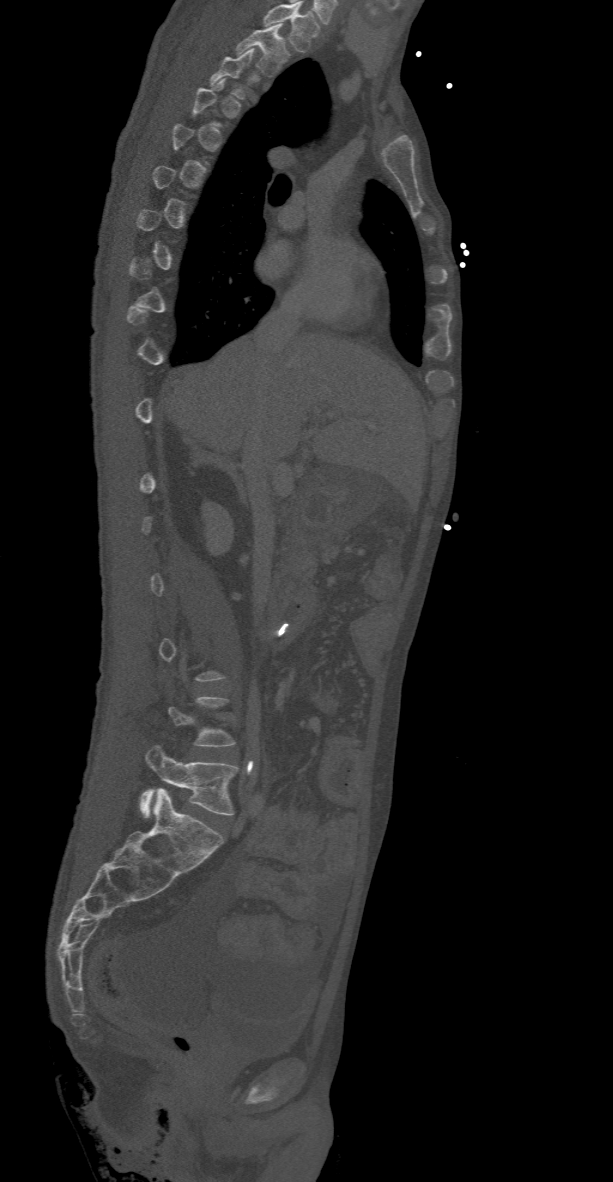 Spine CT; 368 mm image width; sagittal view; bone window; 613x1182 px
Not every vertebra on this slice has a box: a vertebra is boxed only from the first to the last slice where its cross-section is at least a third of its largest, and this slice is outside that range for at least one of them.
Labels in this scan begin with T2 at the top and end with L5 at the bottom.
<vertebrae><v name="T2" x1="235" y1="24" x2="290" y2="76"/><v name="L5" x1="140" y1="746" x2="237" y2="816"/></vertebrae>